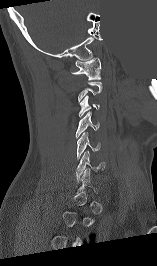

Spine computed tomography · sagittal view · 157 mm across the image · bone-window reconstruction · an area of the scan was removed and filled with constant pixels
Boxes are (x1, y1, x2, y2) in pixels. Not every vertebra on this slice has a box: a vertebra is boxed only from the first to the last slice where its cross-section is at least a third of its largest, and this slice is outside that range for at least one of them. Vertebrae labeled: C1 at (70, 57, 101, 80), C3 at (78, 94, 99, 117), C4 at (75, 111, 99, 138), C5 at (77, 132, 100, 159), C6 at (76, 151, 105, 181).